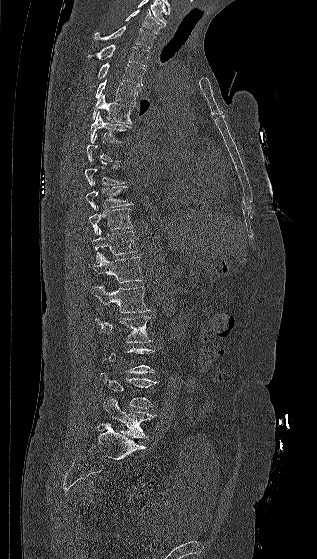
CT, spine; sagittal view; 317 mm wide. Bounding boxes as [x1, y1, x2, y2] in pixel coordinates.
Not every vertebra on this slice has a box: a vertebra is boxed only from the first to the last slice where its cross-section is at least a third of its largest, and this slice is outside that range for at least one of them.
C7: [125, 9, 162, 33]
T1: [94, 26, 155, 48]
T2: [87, 44, 149, 66]
T3: [97, 63, 145, 85]
T4: [95, 79, 141, 104]
T5: [92, 94, 134, 123]
T6: [90, 111, 131, 142]
T7: [86, 134, 121, 163]
T8: [84, 158, 126, 185]
T9: [85, 181, 134, 210]
T10: [89, 206, 134, 235]
T11: [92, 228, 138, 263]
T12: [91, 253, 143, 283]
L1: [91, 285, 150, 312]
L2: [95, 316, 153, 343]
L4: [100, 372, 158, 408]
L5: [103, 397, 156, 438]